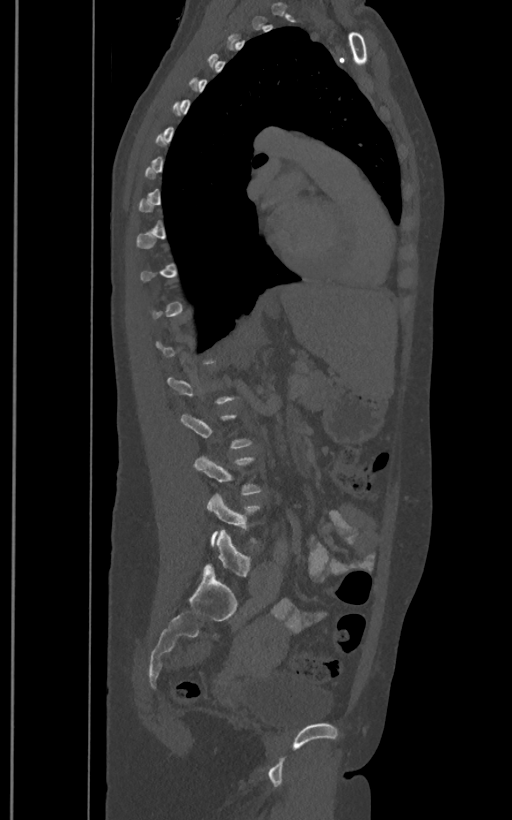 Computed tomography of the spine · sagittal reformat · Bone window (WL 400, WW 1800)
Bounding boxes as [x1, y1, x2, y2] in pixel coordinates. Not every vertebra on this slice has a box: a vertebra is boxed only from the first to the last slice where its cross-section is at least a third of its largest, and this slice is outside that range for at least one of them. The labels name a sixth lumbar vertebra for this spine: L6, after L5. The labeled vertebrae in this slice are: L5 at [206, 494, 259, 544], L6 at [203, 530, 250, 576].